CT spine — sagittal view — 512x612 px
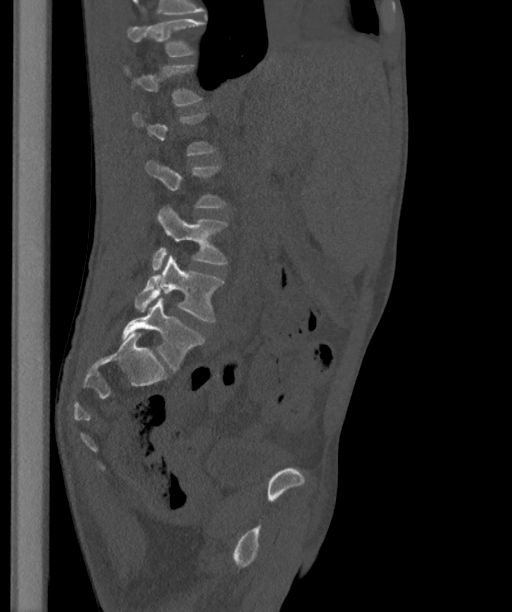 Box edges are left/top/right/bottom in pixels. A vertebra is boxed only from the first to the last slice where its cross-section is at least a third of its largest; slices outside that range leave it without a box. The highest labeled vertebra in this scan is T12; the lowest is L6. These labels give the spine a sixth lumbar vertebra, L6, below L5. 6 vertebrae labeled — T12 at left=128, top=18, right=205, bottom=56; L1 at left=124, top=65, right=202, bottom=106; L3 at left=145, top=160, right=226, bottom=207; L4 at left=152, top=204, right=227, bottom=271; L5 at left=134, top=255, right=224, bottom=321; L6 at left=121, top=297, right=205, bottom=371.